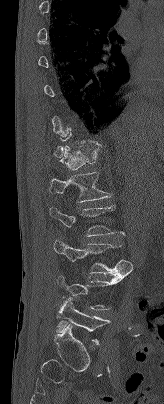 Computed tomography of the spine; image 164 mm wide; sagittal view; bone-window reconstruction; 164x404 px

In the table, x1 and y1 are a box's top-left corner and x2 and y2 its bottom-right corner, in pixels.
Not every vertebra on this slice has a box: a vertebra is boxed only from the first to the last slice where its cross-section is at least a third of its largest, and this slice is outside that range for at least one of them.
| vertebra | x1 | y1 | x2 | y2 |
|---|---|---|---|---|
| T12 | 60 | 145 | 101 | 169 |
| L1 | 50 | 172 | 111 | 202 |
| L2 | 50 | 205 | 124 | 236 |
| L3 | 53 | 241 | 132 | 276 |
| L5 | 56 | 298 | 110 | 344 |